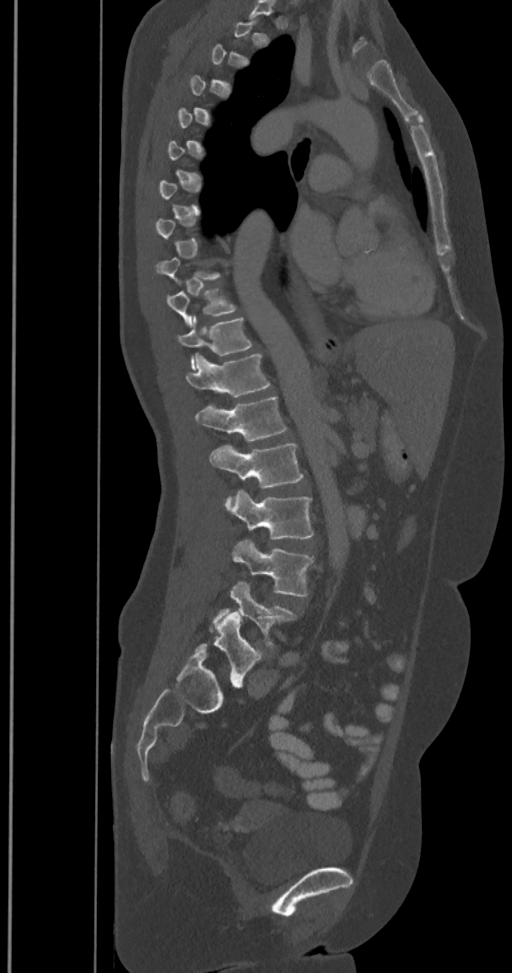

Spine CT; image width 350 mm; sagittal reformat; bone window; 512x973 px
Each box is [x1, y1, x2, y2] in pixels: top-left corner, then bottom-right corner.
Each vertebra is boxed only on the slices from the first to the last where its cross-section reaches a third of its largest, so a slice outside that range leaves it unboxed.
In these labels the spine has an L6, a sixth lumbar vertebra below L5.
{"vertebrae":{"T10":[167,288,236,326],"T11":[177,316,252,368],"T12":[186,353,269,397],"L1":[196,396,287,441],"L2":[210,444,303,487],"L3":[229,490,313,539],"L4":[232,540,313,597],"L5":[213,581,296,647],"L6":[196,612,261,686]}}